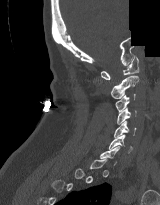 Spine CT; sagittal reformat; W/L 1800/400 HU; 160x205 px; part of the image is constant black where the scan was masked

Box edges are left/top/right/bottom in pixels. A vertebra is boxed only from the first to the last slice where its cross-section is at least a third of its largest; slices outside that range leave it without a box. Vertebrae labeled: C1 at left=100, top=55, right=139, bottom=79, C2 at left=110, top=75, right=138, bottom=98, C3 at left=115, top=94, right=135, bottom=112, C4 at left=117, top=107, right=136, bottom=124, C5 at left=114, top=121, right=136, bottom=137, C6 at left=109, top=134, right=132, bottom=153.